Computed tomography of the spine; sagittal view; bone-window reconstruction; a portion of the image is blanked out (constant pixel value)
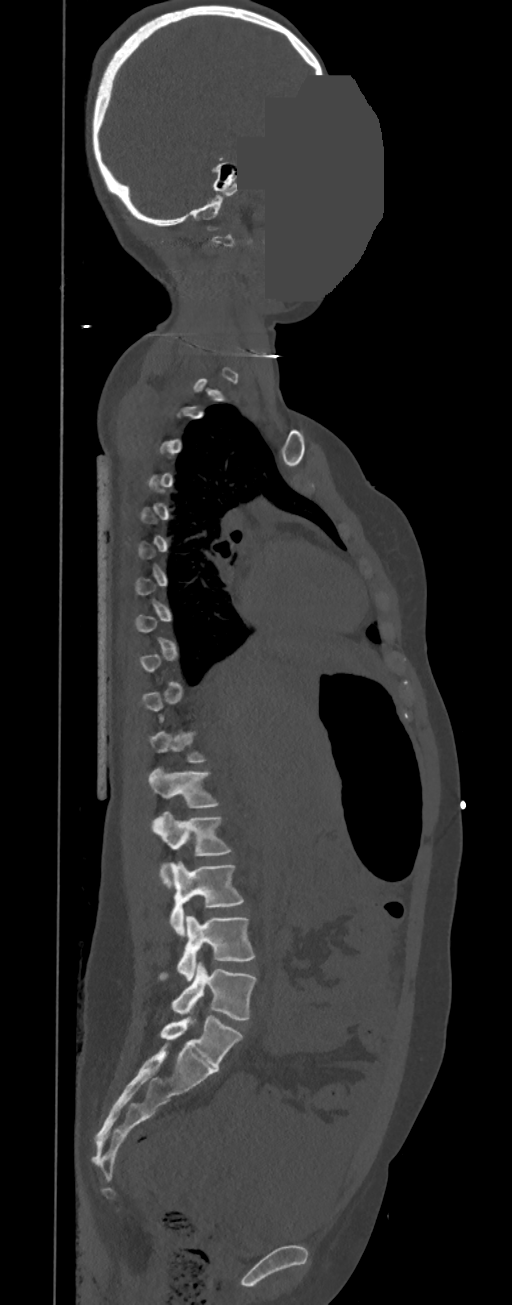 Boxes are (x1, y1, x2, y2) in pixels.
A vertebra is boxed only from the first to the last slice where its cross-section is at least a third of its largest; slices outside that range leave it without a box.
In these labels the spine has no T12: the thoracic vertebrae end at T11, and L1 comes next.
T11: (149, 729, 208, 763)
L1: (148, 768, 220, 807)
L2: (152, 811, 231, 888)
L3: (168, 861, 243, 936)
L4: (158, 915, 255, 980)
L5: (171, 962, 256, 1019)